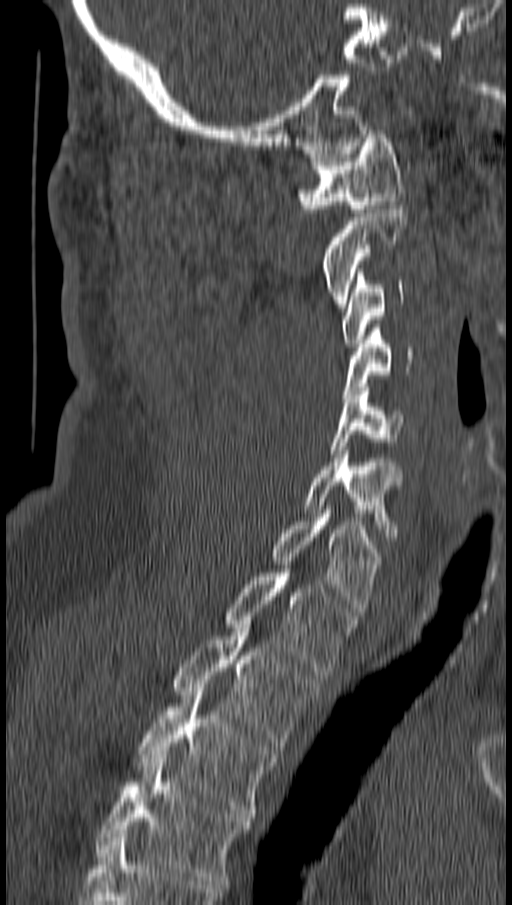
CT spine · sagittal view · 512x905 px
Bounding boxes as [x1, y1, x2, y2] in pixel coordinates. Vertebrae labeled: C1 at [298, 130, 405, 212], C2 at [323, 205, 408, 307], C3 at [342, 269, 403, 347], C4 at [342, 328, 412, 398], C5 at [330, 387, 401, 453], C6 at [304, 446, 398, 536], C7 at [273, 510, 379, 611], T1 at [225, 565, 354, 675], T2 at [175, 624, 319, 746], T3 at [137, 687, 275, 817], T4 at [96, 755, 250, 884].